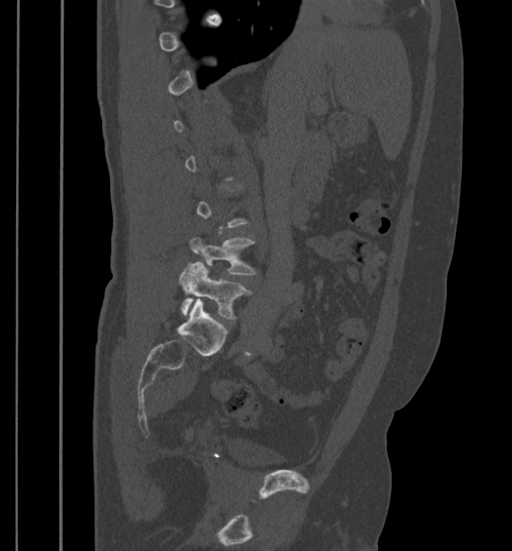

Spine computed tomography — sagittal view — 399 mm across the image — W/L 1800/400 HU — 512x551 px

Bounding boxes as [x1, y1, x2, y2] in pixel coordinates. Each vertebra is boxed only on the slices from the first to the last where its cross-section reaches a third of its largest, so a slice outside that range leaves it unboxed. Vertebrae labeled: L5 at [178, 262, 252, 319], L4 at [190, 237, 255, 274].